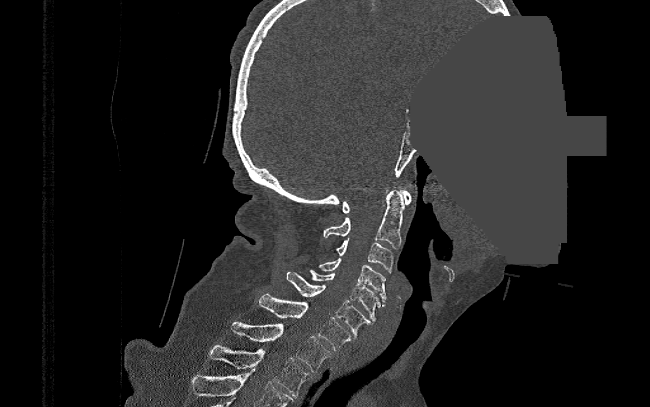 CT spine — sagittal reformat — 650x407 px — part of the image has been replaced by a constant value

Bounding boxes as [x1, y1, x2, y2] in pixel coordinates. The labeled vertebrae in this slice are: C1 at [342, 190, 412, 213], C2 at [324, 190, 404, 248], C3 at [336, 239, 393, 273], C4 at [319, 258, 386, 306], C5 at [310, 270, 380, 321], C6 at [287, 271, 374, 337], C7 at [258, 294, 352, 350], T1 at [230, 322, 330, 371], T2 at [208, 346, 311, 397].